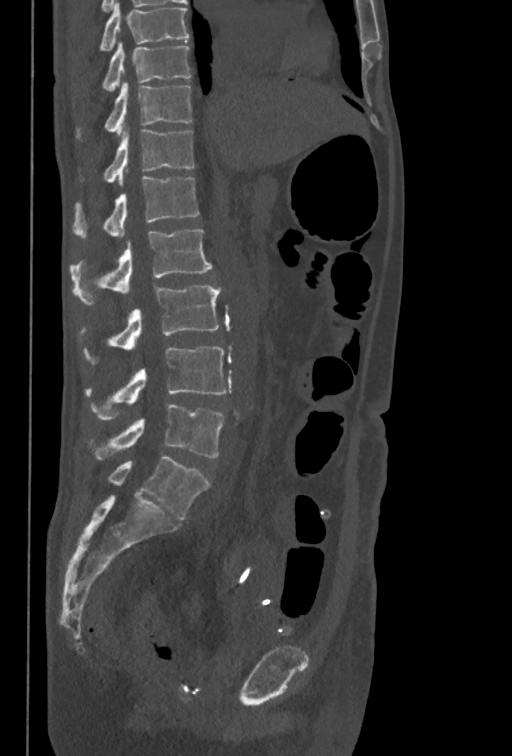

CT; sagittal view; the image is 350 mm wide; 512x756 px
Boxes are (x1, y1, x2, y2) in pixels. The highest labeled vertebra in this scan is T10; the lowest is L5. Vertebrae labeled: L5 at (89, 404, 224, 460), L4 at (85, 346, 226, 420), L3 at (79, 284, 220, 364), L2 at (70, 229, 212, 304), L1 at (72, 176, 199, 239), T12 at (80, 129, 195, 185), T11 at (76, 82, 192, 140), T10 at (102, 42, 190, 91).